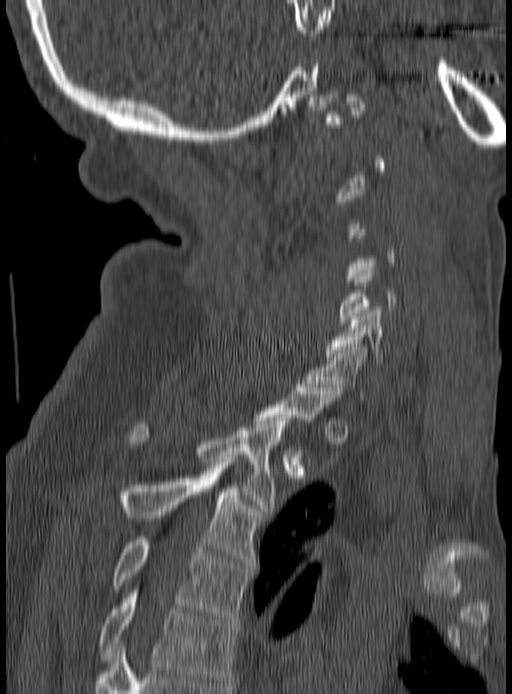

CT spine — sagittal view — 190 mm across the image

Boxes: x1 y1 x2 y2 (pixel coords, space-separated).
A vertebra is boxed only from the first to the last slice where its cross-section is at least a third of its largest; slices outside that range leave it without a box.
T5: 98 589 237 686
T4: 114 539 250 619
T3: 119 465 261 565
T2: 128 418 290 511
C7: 305 344 367 400
C6: 325 307 411 359
C5: 338 269 396 322